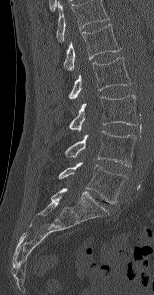
Spine CT; sagittal view. Bounding boxes as [x1, y1, x2, y2] in pixel coordinates.
This scan's labels start at L1 at the top and end at L5 at the bottom.
Vertebra bounding boxes:
- L1: [63, 24, 121, 70]
- L2: [69, 57, 131, 98]
- L3: [69, 95, 137, 131]
- L4: [65, 131, 135, 166]
- L5: [58, 162, 127, 203]